CT, spine; Sagittal slice 68/124; bone-window reconstruction; 576x576 px; 8 vertebrae labeled in this scan
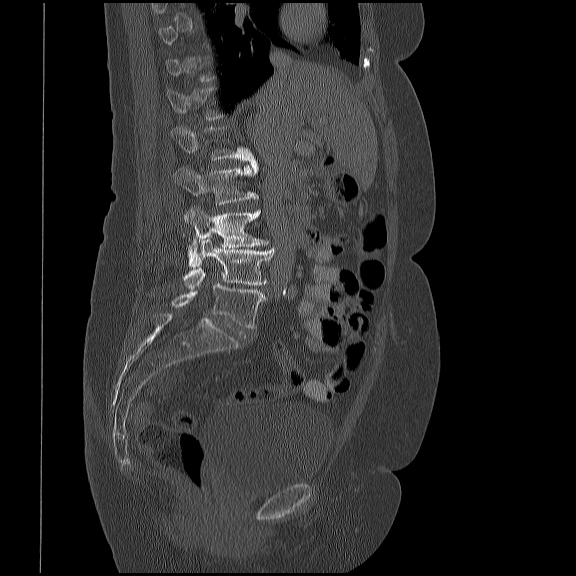 Boxes below are [x1, y1, x2, y2] in pixels.
A vertebra is boxed only from the first to the last slice where its cross-section is at least a third of its largest; slices outside that range leave it without a box.
{"vertebrae":{"L5":[171,284,266,328],"L4":[183,238,274,288],"L3":[185,207,269,265],"L2":[174,164,258,204],"L1":[171,126,258,173]}}